Spine CT. sagittal plane, index 310. 512x747 px. scan covers 12 annotated vertebrae
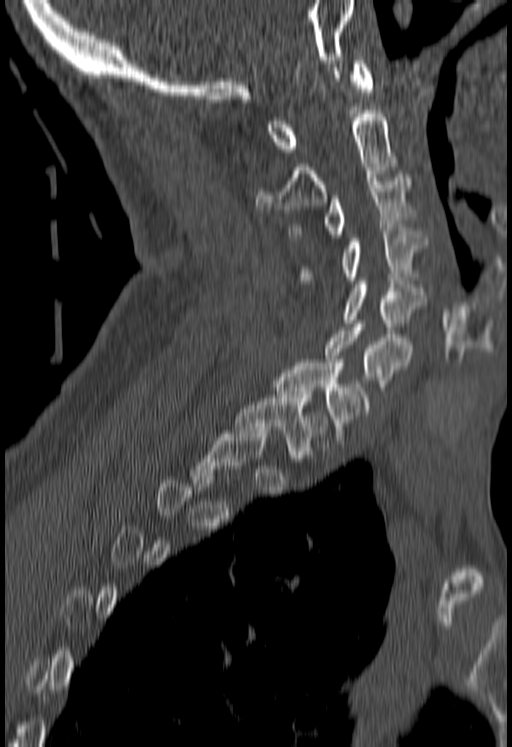
Each box given as x1,y1,x2,y2.
A vertebra is boxed only from the first to the last slice where its cross-section is at least a third of its largest; slices outside that range leave it without a box.
Vertebra bounding boxes:
- T1: x1=234, y1=391, x2=328, y2=461
- C7: x1=274, y1=359, x2=370, y2=443
- C6: x1=324, y1=324, x2=410, y2=394
- C5: x1=342, y1=281, x2=427, y2=333
- C4: x1=298, y1=228, x2=427, y2=283
- C3: x1=291, y1=174, x2=412, y2=237
- C2: x1=257, y1=114, x2=398, y2=212
- C1: x1=265, y1=60, x2=373, y2=155